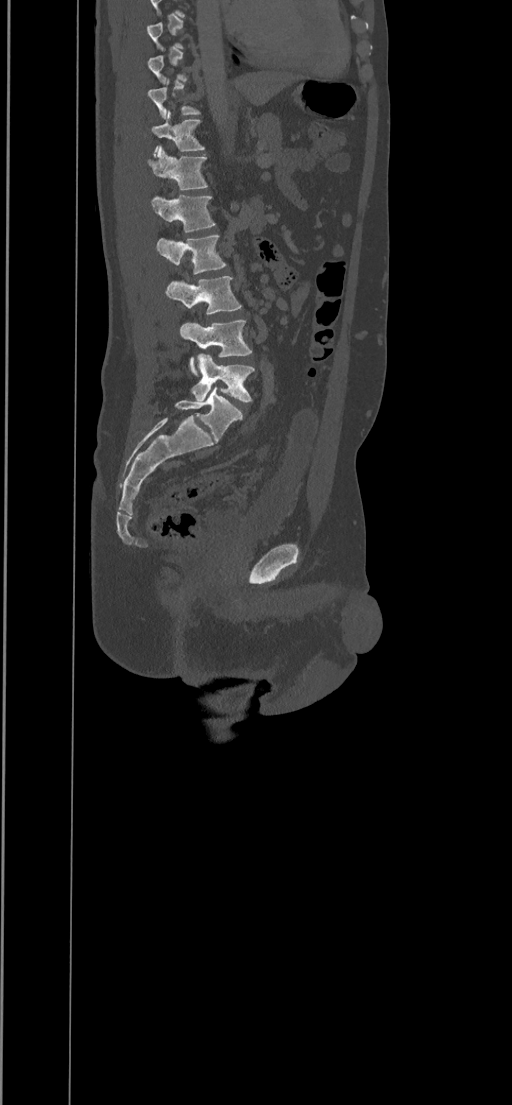

Spine computed tomography — sagittal view. Boxes are (x1, y1, x2, y2) in pixels.
Each vertebra is boxed only on the slices from the first to the last where its cross-section reaches a third of its largest, so a slice outside that range leaves it unboxed.
T11: (152, 110, 204, 156)
T12: (147, 145, 208, 190)
L1: (151, 194, 215, 232)
L2: (156, 235, 225, 274)
L3: (165, 276, 241, 314)
L4: (179, 320, 251, 375)
L5: (191, 354, 254, 401)